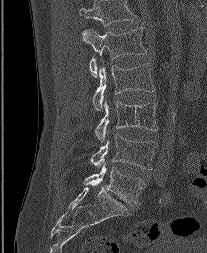
CT, spine — sagittal view — 207x253 px
Bounding boxes as [x1, y1, x2, y2] in pixel coordinates. In this scan, the topmost labeled vertebra is L1 and the lowest is L5. 5 vertebrae labeled — L1 at [83, 27, 146, 76]; L2 at [93, 63, 154, 110]; L3 at [95, 101, 157, 141]; L4 at [90, 134, 157, 169]; L5 at [84, 162, 144, 205].